CT spine. 140 mm image width. sagittal view. 12 vertebrae labeled in this scan
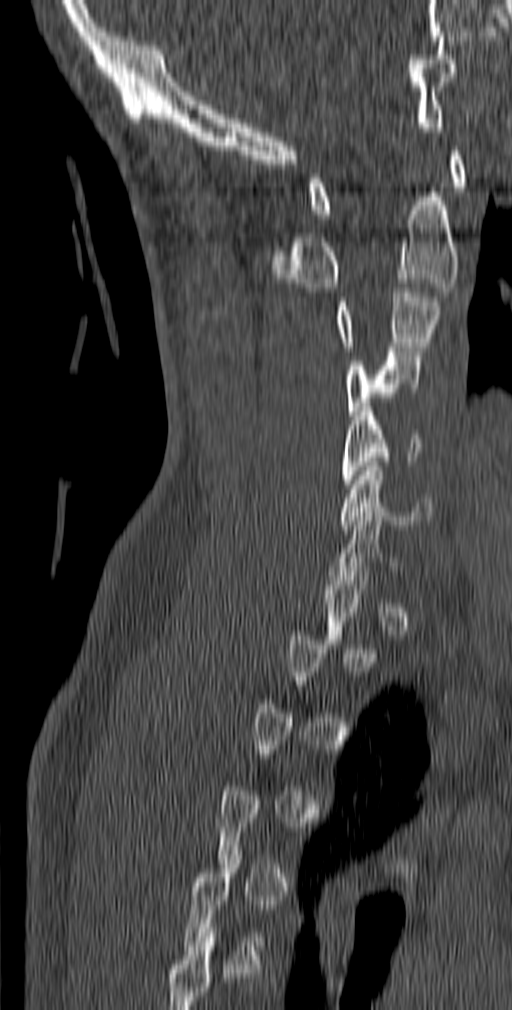
Box edges are left/top/right/bottom in pixels.
A vertebra gets a box only on the slices from the first to the last where its cross-section is at least a third of its largest; on a slice outside that range it gets none.
C1: left=309, top=146, right=466, bottom=218
C2: left=271, top=192, right=459, bottom=292
C3: left=334, top=283, right=441, bottom=351
C4: left=345, top=347, right=422, bottom=420
C5: left=341, top=407, right=424, bottom=488
C6: left=340, top=462, right=432, bottom=529